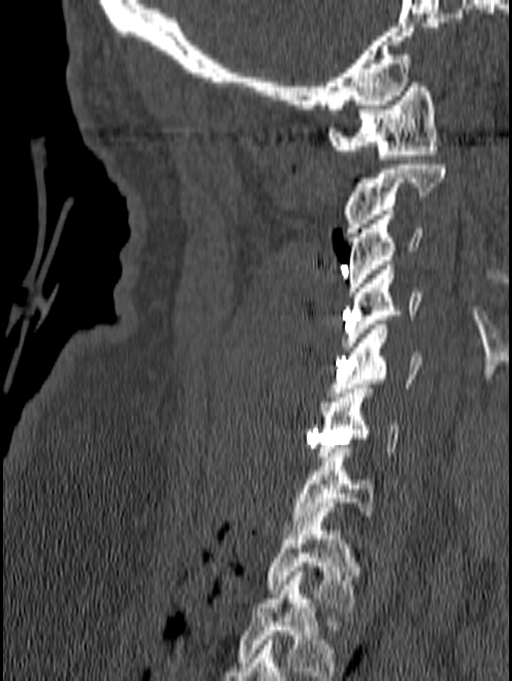
Computed tomography of the spine. sagittal view. the image spans 140 mm across. Bone window (WL 400, WW 1800)

Box edges are left/top/right/bottom in pixels.
Labels in this scan begin with C1 at the top and end with T1 at the bottom.
| vertebra | x1 | y1 | x2 | y2 |
|---|---|---|---|---|
| C1 | 327 | 82 | 437 | 159 |
| C2 | 341 | 165 | 446 | 237 |
| C3 | 348 | 210 | 422 | 296 |
| C4 | 341 | 265 | 421 | 351 |
| C5 | 329 | 325 | 422 | 397 |
| C6 | 316 | 384 | 399 | 461 |
| C7 | 283 | 443 | 377 | 534 |
| T1 | 265 | 507 | 362 | 612 |